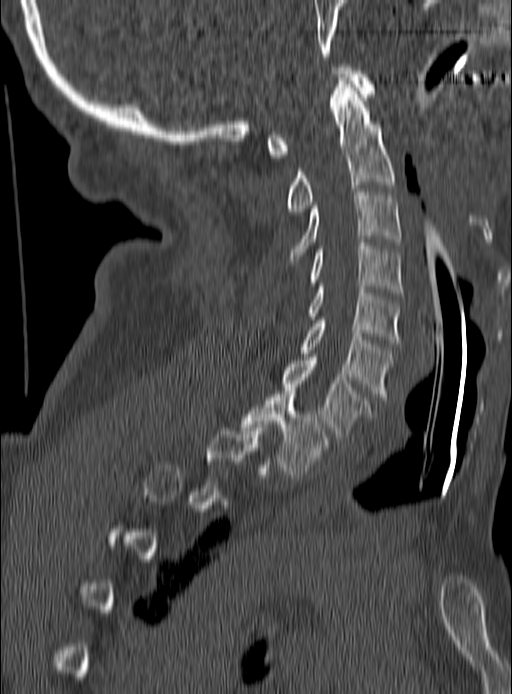

CT, spine · sagittal view · bone-window reconstruction · 512x694 px
Each vertebra is boxed only on the slices from the first to the last where its cross-section reaches a third of its largest, so a slice outside that range leaves it unboxed.
<vertebrae><v name="C1" x1="267" y1="67" x2="374" y2="157"/><v name="C2" x1="286" y1="77" x2="396" y2="215"/><v name="C3" x1="288" y1="189" x2="401" y2="262"/><v name="C4" x1="308" y1="243" x2="401" y2="295"/><v name="C5" x1="308" y1="283" x2="401" y2="343"/><v name="C6" x1="300" y1="317" x2="393" y2="400"/><v name="C7" x1="281" y1="357" x2="372" y2="440"/><v name="T1" x1="241" y1="391" x2="329" y2="477"/></vertebrae>